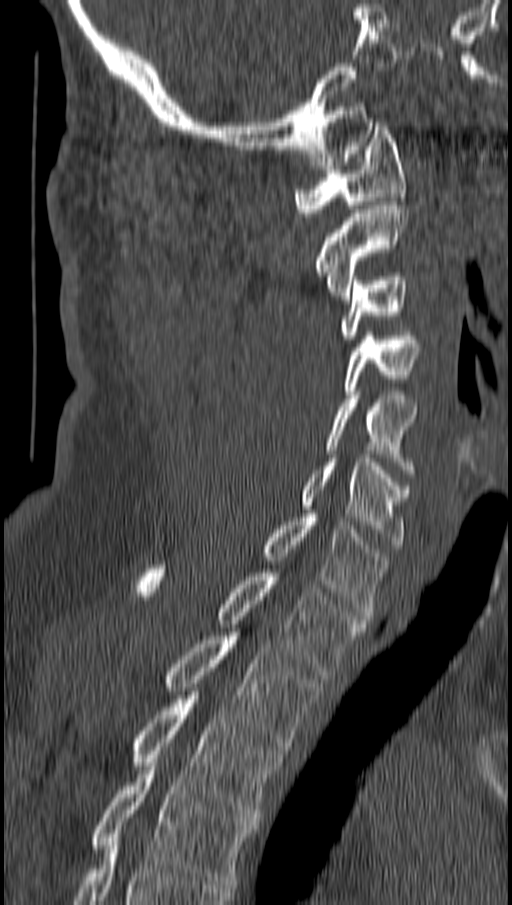

Spine CT. sagittal view
Coordinates as <box>x1,y1,x2,y2</box>. 11 vertebrae labeled — T4 at <box>93,762,256,888</box>; T3 at <box>134,691,281,817</box>; T2 at <box>165,632,319,754</box>; T1 at <box>136,565,364,675</box>; C7 at <box>263,514,386,619</box>; C6 at <box>301,454,411,548</box>; C5 at <box>327,391,416,473</box>; C4 at <box>342,332,421,398</box>; C3 at <box>339,277,405,343</box>; C2 at <box>317,201,408,299</box>; C1 at <box>295,122,405,216</box>.